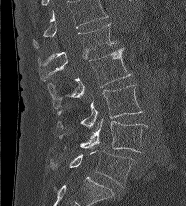

Computed tomography of the spine — the image spans 186 mm across — sagittal view — bone window. Box edges are left/top/right/bottom in pixels.
In this scan, the topmost labeled vertebra is L1 and the lowest is L5.
L1: left=38, top=23, right=116, bottom=81
L2: left=47, top=48, right=132, bottom=109
L3: left=57, top=85, right=143, bottom=127
L4: left=58, top=120, right=149, bottom=152
L5: left=50, top=151, right=134, bottom=187